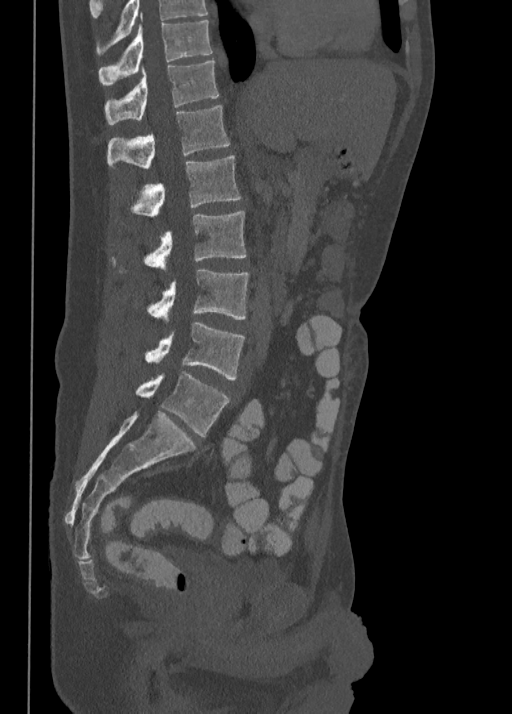
Spine CT · sagittal view. In the table, x1 and y1 are a box's top-left corner and x2 and y2 its bottom-right corner, in pixels.
| vertebra | x1 | y1 | x2 | y2 |
|---|---|---|---|---|
| T10 | 98 | 12 | 212 | 85 |
| T11 | 105 | 59 | 218 | 124 |
| T12 | 107 | 105 | 230 | 170 |
| L1 | 128 | 155 | 240 | 216 |
| L2 | 111 | 211 | 246 | 274 |
| L3 | 146 | 269 | 249 | 319 |
| L4 | 145 | 321 | 245 | 379 |
| L5 | 136 | 371 | 230 | 436 |